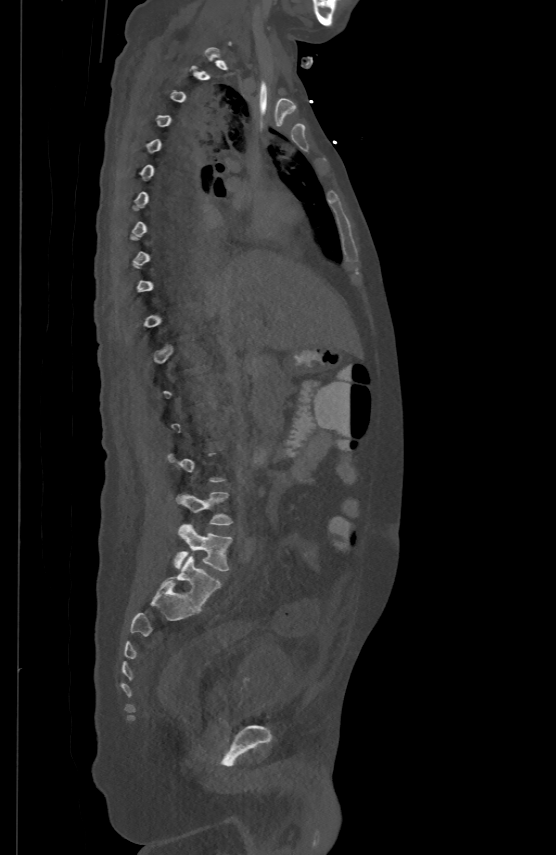 CT; sagittal view; bone window; 556x855 px

A vertebra gets a box only on the slices from the first to the last where its cross-section is at least a third of its largest; on a slice outside that range it gets none.
<vertebrae><v name="L5" x1="174" y1="524" x2="231" y2="571"/><v name="L4" x1="176" y1="492" x2="232" y2="524"/></vertebrae>